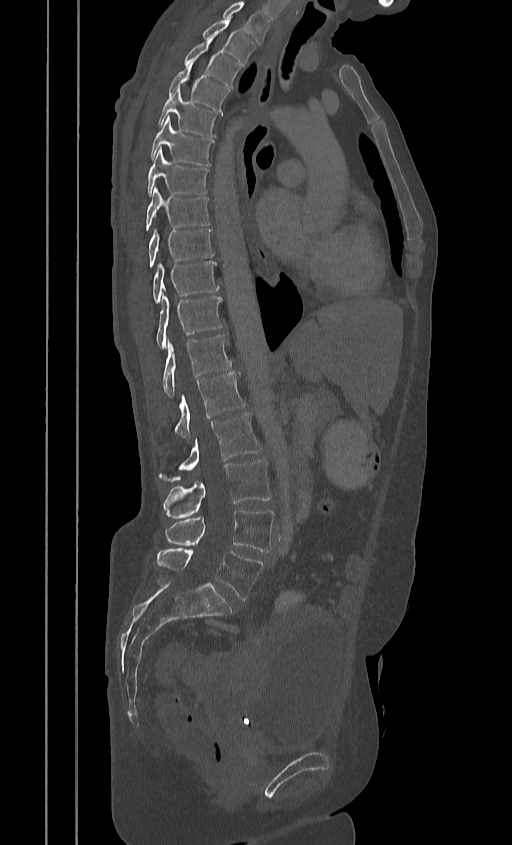 Computed tomography of the spine. sagittal reformat. the image is 384 mm wide. 512x845 px
Box values are [left, top, right, bottom] in pixels.
This scan's labels start at T2 at the top and end at L5 at the bottom.
{"vertebrae":{"L5":[156,548,263,600],"L4":[165,509,273,552],"L3":[162,460,271,518],"L2":[158,412,261,482],"L1":[174,372,245,438],"T12":[162,335,232,398],"T11":[156,295,221,348],"T10":[152,261,219,303],"T9":[148,228,213,267],"T8":[145,187,209,231],"T7":[146,148,209,195],"T6":[150,116,213,166],"T5":[157,88,219,136],"T4":[168,60,228,111],"T3":[184,39,239,87],"T2":[202,19,253,66]}}